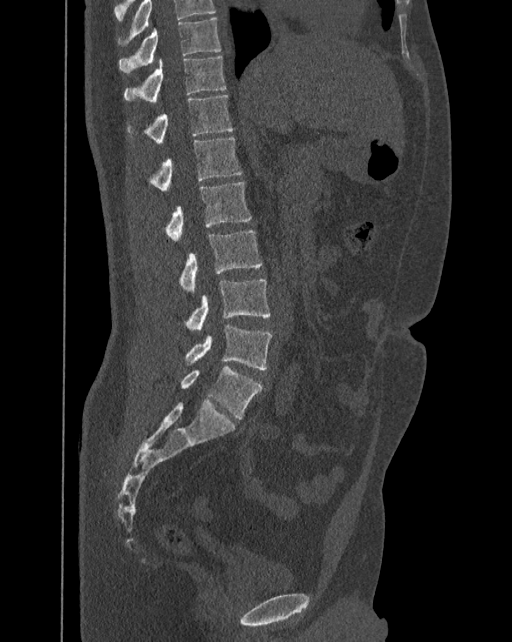
CT · sagittal view. Bounding boxes as [x1, y1, x2, y2] in pixel coordinates.
Labels in this scan begin with T10 at the top and end with L6 at the bottom.
The labels name a sixth lumbar vertebra for this spine: L6, after L5.
L6: [181, 364, 261, 419]
L5: [185, 324, 272, 369]
L4: [185, 279, 271, 332]
L3: [180, 230, 261, 293]
L2: [166, 182, 251, 241]
L1: [150, 138, 242, 192]
T12: [128, 94, 233, 145]
T11: [124, 55, 226, 101]
T10: [119, 18, 221, 73]